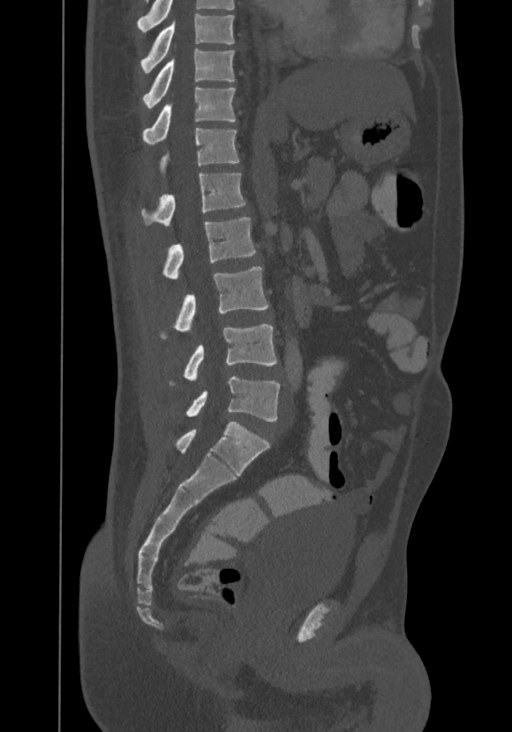

Spine computed tomography · sagittal reformat · image width 367 mm. Bounding boxes as [x1, y1, x2, y2] in pixel coordinates.
This scan's labels start at T8 at the top and end at L4 at the bottom.
L4: [185, 377, 279, 421]
L3: [169, 325, 276, 386]
L2: [160, 266, 268, 338]
L1: [162, 217, 255, 279]
T12: [141, 173, 246, 225]
T11: [159, 128, 239, 176]
T10: [142, 87, 235, 143]
T9: [142, 46, 235, 107]
T8: [141, 14, 233, 73]